Spine CT — sagittal reformat
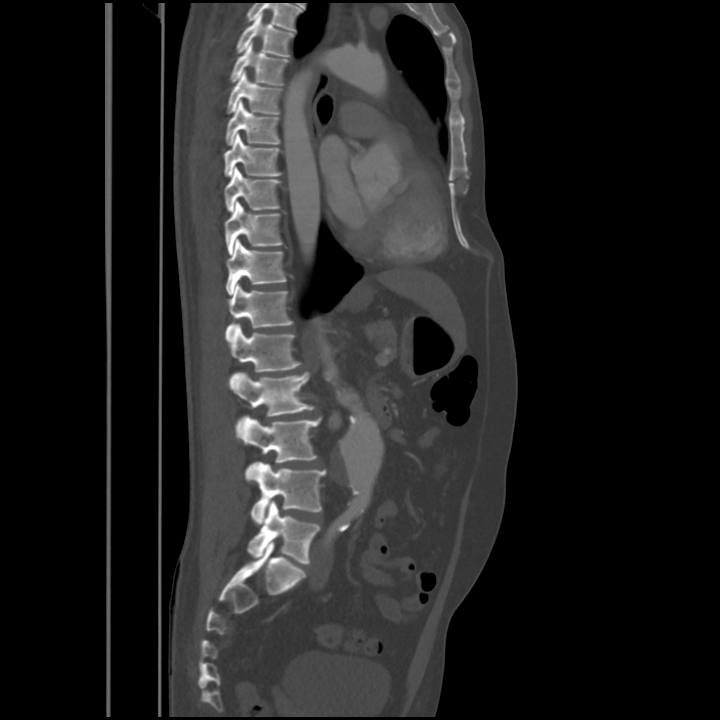 Boxes: x1:y1:x2:y2 in pixels.
This scan's labels start at T4 at the top and end at L5 at the bottom.
T4: 237:13:293:57
T5: 230:42:288:85
T6: 227:72:282:114
T7: 225:100:279:145
T8: 224:133:281:176
T9: 224:166:281:212
T10: 224:201:283:255
T11: 226:239:286:294
T12: 225:284:293:341
L1: 230:324:301:371
L2: 233:372:314:437
L3: 242:417:321:479
L4: 251:462:325:524
L5: 247:500:320:563